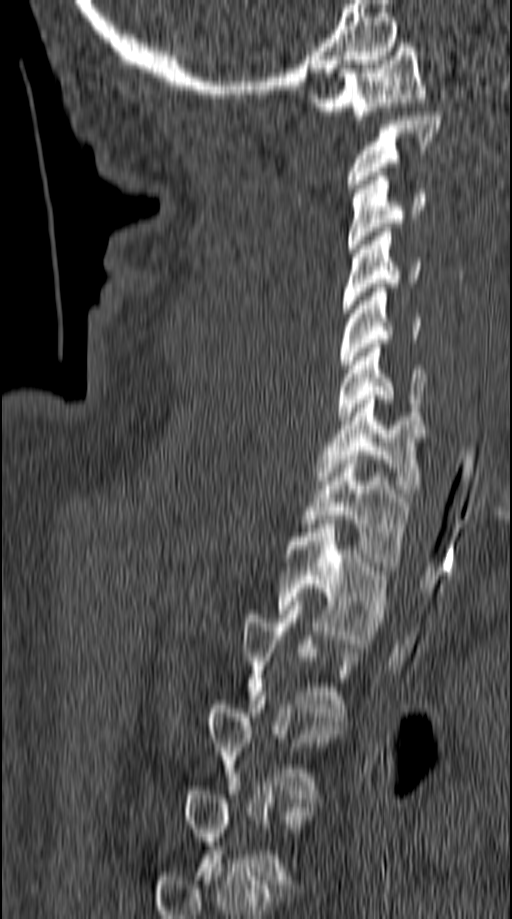 CT · sagittal view · W/L 1800/400 HU
A vertebra gets a box only on the slices from the first to the last where its cross-section is at least a third of its largest; on a slice outside that range it gets none.
<vertebrae><v name="C1" x1="309" y1="43" x2="426" y2="119"/><v name="C2" x1="348" y1="112" x2="440" y2="192"/><v name="C3" x1="348" y1="172" x2="425" y2="252"/><v name="C4" x1="342" y1="228" x2="421" y2="313"/><v name="C5" x1="340" y1="283" x2="422" y2="368"/><v name="C6" x1="338" y1="344" x2="426" y2="420"/><v name="C7" x1="317" y1="395" x2="426" y2="497"/><v name="T1" x1="301" y1="455" x2="410" y2="566"/><v name="T2" x1="276" y1="524" x2="389" y2="643"/><v name="T3" x1="242" y1="601" x2="361" y2="721"/><v name="T4" x1="206" y1="692" x2="344" y2="798"/></vertebrae>